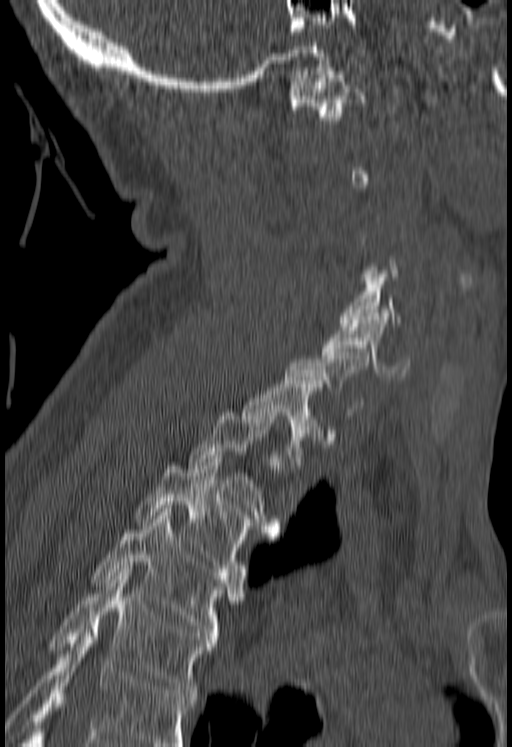 Spine CT — sagittal view

Boxes are (x1, y1, x2, y2) in pixels.
A vertebra gets a box only on the slices from the first to the last where its cross-section is at least a third of its largest; on a slice outside that range it gets none.
Where the bottom of the scan cuts through a vertebra, that vertebra gets no label or box.
C1: (289, 68, 367, 120)
C5: (339, 270, 401, 326)
C6: (321, 316, 409, 379)
T1: (241, 380, 321, 465)
T2: (187, 412, 279, 536)
T3: (137, 459, 250, 575)
T4: (92, 512, 242, 639)
T5: (49, 569, 216, 696)